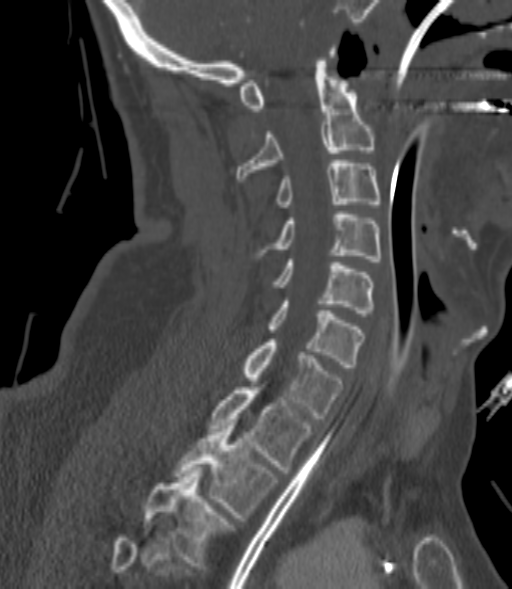
CT · image 200 mm wide · sagittal view · bone window · 512x589 px

Box edges are left/top/right/bottom in pixels. Each vertebra is boxed only on the slices from the first to the last where its cross-section reaches a third of its largest, so a slice outside that range leaves it unboxed. 9 vertebrae labeled — C2 at left=236, top=48, right=374, bottom=181; C3 at left=277, top=160, right=379, bottom=207; C4 at left=275, top=211, right=381, bottom=261; C5 at left=275, top=259, right=374, bottom=316; C6 at left=270, top=301, right=363, bottom=367; C7 at left=244, top=339, right=343, bottom=418; T1 at left=208, top=387, right=310, bottom=473; T2 at left=175, top=422, right=276, bottom=517; T3 at left=144, top=470, right=230, bottom=565.